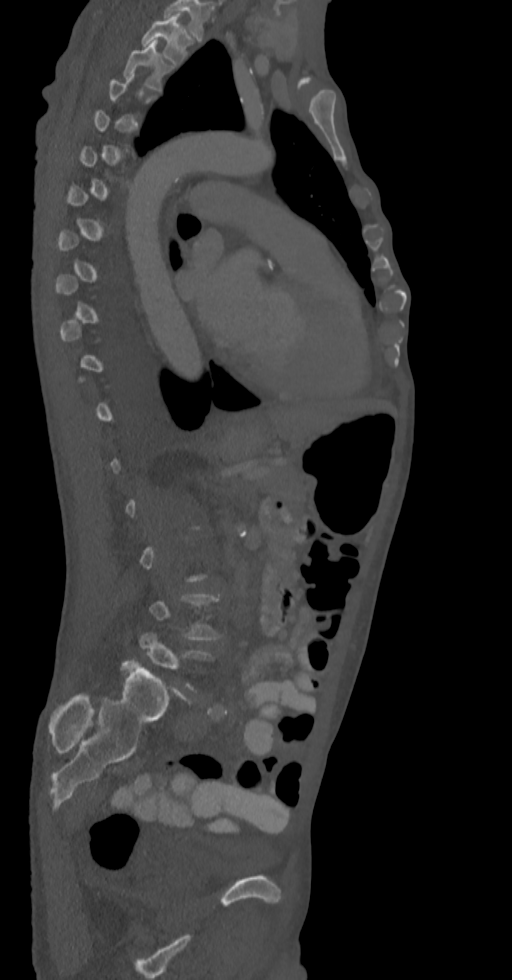
CT spine · sagittal view

Boxes: x1 y1 x2 y2 (pixel coords, space-separated).
Not every vertebra on this slice has a box: a vertebra is boxed only from the first to the last slice where its cross-section is at least a third of its largest, and this slice is outside that range for at least one of them.
T3: 123 41 160 90
T2: 141 14 191 63